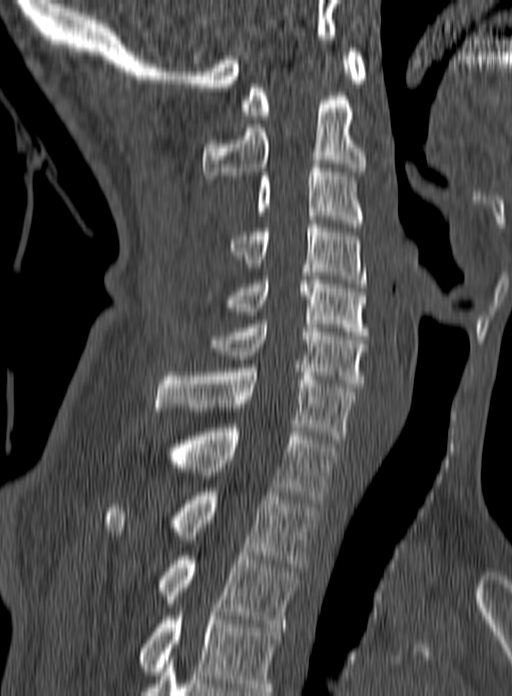
CT, spine — sagittal reformat — 160 mm across the image. Each box given as x1,y1,x2,y2.
The highest labeled vertebra in this scan is C1; the lowest is T3.
C1: x1=241, y1=48, x2=366, y2=119
C2: x1=203, y1=96, x2=365, y2=179
C3: x1=256, y1=164, x2=362, y2=227
C4: x1=230, y1=224, x2=367, y2=287
C5: x1=207, y1=276, x2=368, y2=335
C6: x1=209, y1=320, x2=368, y2=387
C7: x1=155, y1=368, x2=355, y2=443
T1: x1=133, y1=428, x2=338, y2=503
T2: x1=104, y1=492, x2=317, y2=567
T3: x1=158, y1=552, x2=301, y2=627